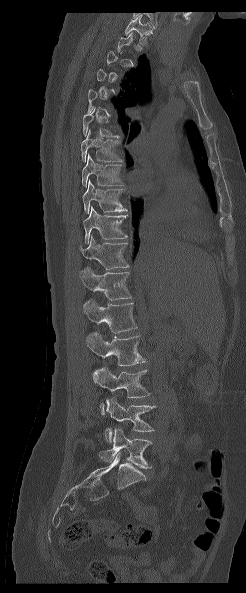
CT, spine; sagittal view; 246x593 px; 246 mm image width
Each box is [x1, y1, x2, y2] in pixels: top-left corner, then bottom-right corner.
Not every vertebra on this slice has a box: a vertebra is boxed only from the first to the last slice where its cross-section is at least a third of its largest, and this slice is outside that range for at least one of them.
Labels in this scan begin with T1 at the top and end with L5 at the bottom.
{"vertebrae":{"T1":[125,14,152,46],"T7":[81,129,122,162],"T8":[82,155,121,186],"T9":[82,180,127,214],"T10":[83,207,127,243],"T11":[79,233,128,268],"T12":[79,267,131,300],"L1":[83,299,136,332],"L2":[86,333,146,365],"L3":[93,367,150,414],"L4":[104,398,155,442],"L5":[99,427,151,468]}}